Computed tomography of the spine. sagittal reformat. the image is 446 mm wide. scan covers 17 annotated vertebrae
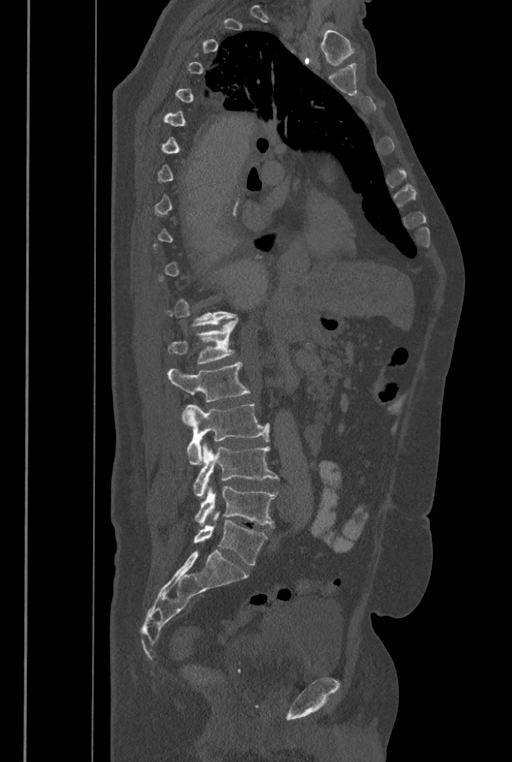 Each vertebra is boxed only on the slices from the first to the last where its cross-section reaches a third of its largest, so a slice outside that range leaves it unboxed.
These labels give the spine a sixth lumbar vertebra, L6, below L5.
<vertebrae><v name="L1" x1="169" y1="318" x2="238" y2="363"/><v name="L2" x1="167" y1="362" x2="250" y2="422"/><v name="L3" x1="185" y1="403" x2="269" y2="464"/><v name="L4" x1="193" y1="443" x2="278" y2="497"/><v name="L5" x1="194" y1="486" x2="277" y2="526"/><v name="L6" x1="194" y1="512" x2="266" y2="565"/></vertebrae>